Computed tomography of the spine · image width 443 mm · sagittal plane, index 304
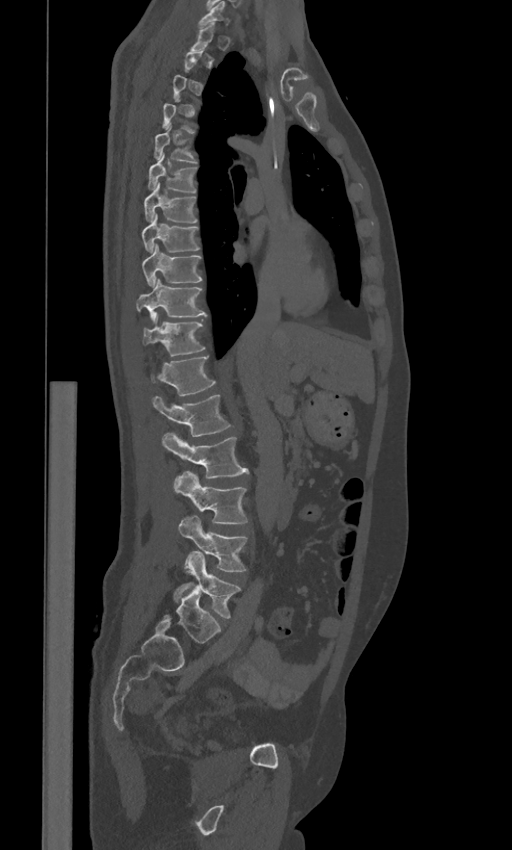

Boxes: x1 y1 x2 y2 (pixel coords, space-separated).
A vertebra gets a box only on the slices from the first to the last where its cross-section is at least a third of its largest; on a slice outside that range it gets none.
In these labels the spine has an L6, a sixth lumbar vertebra below L5.
Vertebra bounding boxes:
- L6: 164 586 220 643
- L5: 174 551 240 618
- L4: 178 515 247 571
- L3: 173 471 247 523
- L2: 162 433 249 477
- L1: 152 394 231 436
- T12: 152 357 215 395
- T11: 143 313 205 356
- T10: 136 279 206 320
- T9: 142 244 202 286
- T8: 141 214 199 252
- T7: 143 183 197 223
- T6: 148 154 197 192
- T5: 154 125 197 162
- C7: 199 2 229 27